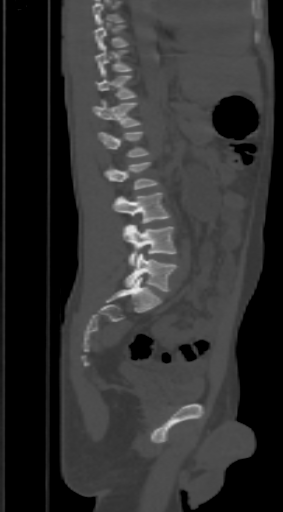

CT, spine · sagittal view · W/L 1800/400 HU

Each box given as x1,y1,x2,y2.
A vertebra cut off by the top edge of the scan is not labeled and has no box.
Vertebra bounding boxes:
- L5: x1=123, y1=253, x2=178, y2=291
- L4: x1=123, y1=224, x2=175, y2=266
- L3: x1=112, y1=192, x2=170, y2=223
- L2: x1=104, y1=161, x2=159, y2=189
- L1: x1=98, y1=131, x2=150, y2=156
- T12: x1=92, y1=101, x2=142, y2=127
- T11: x1=95, y1=75, x2=136, y2=103
- T10: x1=95, y1=44, x2=133, y2=76
- T9: x1=92, y1=19, x2=128, y2=50